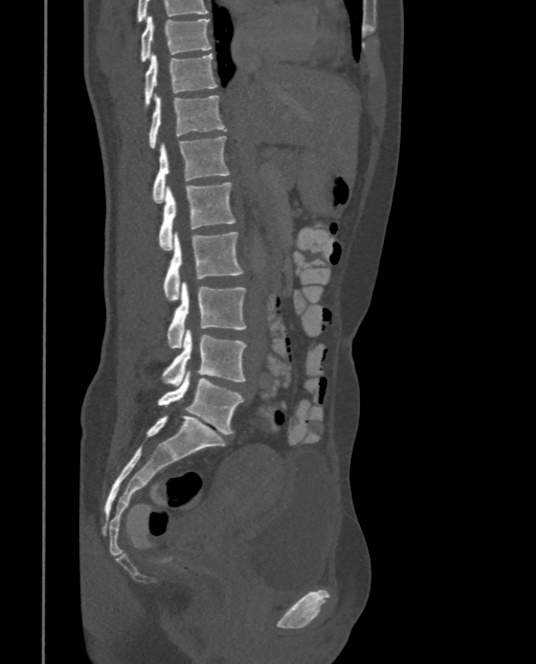

CT, spine. sagittal reformat. 536x664 px
Boxes are (x1, y1, x2, y2) in pixels.
This scan's labels start at T9 at the top and end at L5 at the bottom.
L5: (157, 370, 243, 433)
L4: (162, 330, 246, 386)
L3: (167, 281, 246, 347)
L2: (162, 231, 243, 300)
L1: (158, 183, 235, 250)
T12: (153, 136, 229, 202)
T11: (149, 96, 226, 147)
T10: (144, 53, 218, 107)
T9: (140, 16, 211, 62)